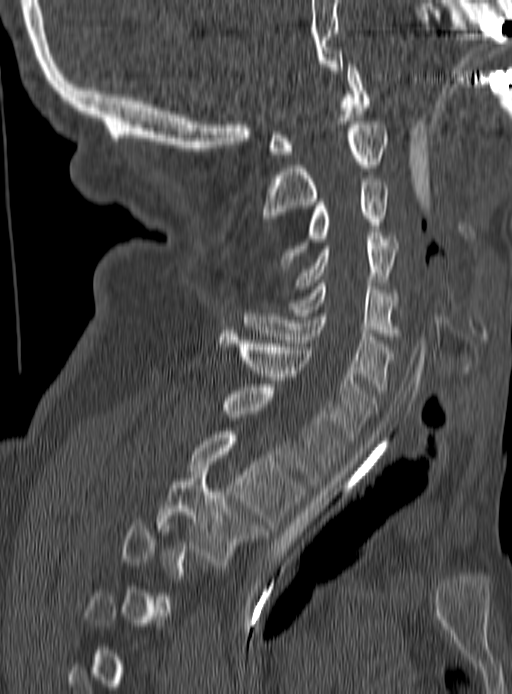
Computed tomography of the spine · sagittal view · 190 mm wide · bone window · 512x694 px
Each box given as x1,y1,x2,y2. A vertebra is boxed only from the first to the last slice where its cross-section is at least a third of its largest; slices outside that range leave it without a box. 10 vertebrae labeled — C1 at x1=268, y1=64, x2=369, y2=157; C2 at x1=262, y1=121, x2=388, y2=221; C3 at x1=280, y1=182, x2=388, y2=265; C4 at x1=297, y1=232, x2=399, y2=289; C5 at x1=289, y1=283, x2=396, y2=336; C6 at x1=243, y1=310, x2=393, y2=390; C7 at x1=218, y1=333, x2=377, y2=440; T1 at x1=222, y1=384, x2=342, y2=484; T2 at x1=189, y1=431, x2=304, y2=528; T3 at x1=157, y1=472, x2=264, y2=565.